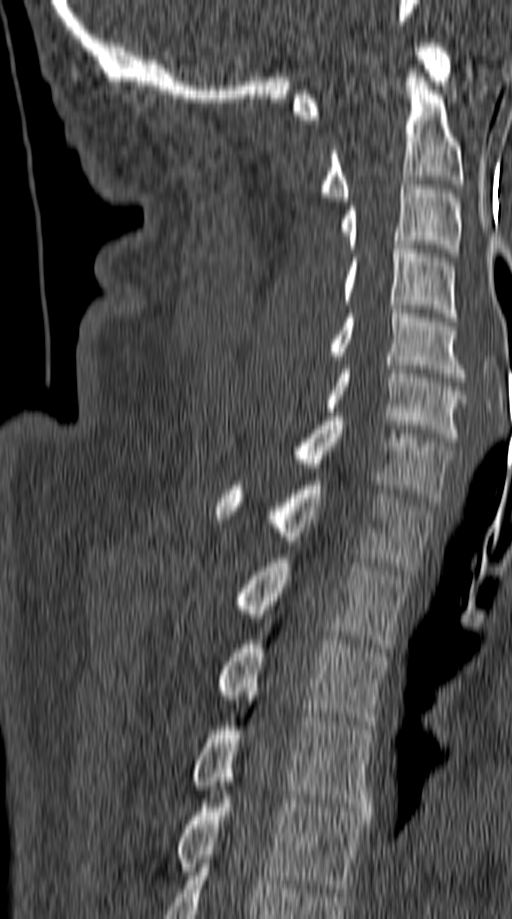

Computed tomography of the spine. sagittal reformat. Bone window (WL 400, WW 1800). the image spans 149 mm across

Each box given as x1,y1,x2,y2.
T5: x1=176, y1=790, x2=366, y2=892
T4: x1=190, y1=700, x2=375, y2=815
T3: x1=214, y1=640, x2=389, y2=729
T2: x1=235, y1=554, x2=409, y2=648
T1: x1=216, y1=481, x2=433, y2=570
C7: x1=290, y1=412, x2=452, y2=502
C6: x1=326, y1=365, x2=466, y2=441
C5: x1=330, y1=309, x2=466, y2=377
C4: x1=341, y1=245, x2=457, y2=321
C3: x1=341, y1=185, x2=461, y2=257
C2: x1=321, y1=69, x2=464, y2=201
C1: x1=293, y1=43, x2=452, y2=119